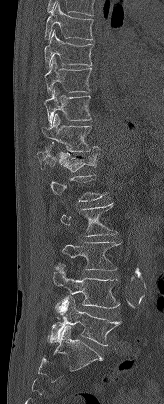
Computed tomography of the spine. sagittal reformat. 164 mm wide. W/L 1800/400 HU. Boxes: x1 y1 x2 y2 (pixel coords, space-separated).
A vertebra gets a box only on the slices from the first to the last where its cross-section is at least a third of its largest; on a slice outside that range it gets none.
T7: 44 2 93 39
T8: 44 30 93 68
T9: 44 57 92 95
T10: 44 88 91 125
T11: 42 113 99 152
T12: 37 143 97 171
L2: 60 203 117 236
L3: 62 242 120 271
L4: 53 264 119 311
L5: 48 296 121 346